CT, spine · sagittal plane, index 115 · scan covers 6 annotated vertebrae
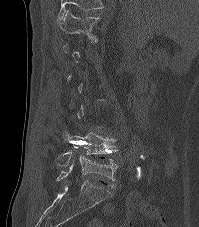 Each box given as x1,y1,x2,y2. Not every vertebra on this slice has a box: a vertebra is boxed only from the first to the last slice where its cross-section is at least a third of its largest, and this slice is outside that range for at least one of them. In this scan, the topmost labeled vertebra is T12 and the lowest is L5. 3 vertebrae labeled — T12 at x1=60, y1=10, x2=99, y2=43; L4 at x1=54, y1=130, x2=117, y2=165; L5 at x1=56, y1=155, x2=118, y2=181.